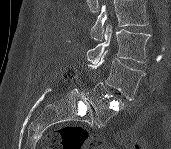 CT; sagittal view
In the table, x1 and y1 are a box's top-left corner and x2 and y2 its bottom-right corner, in pixels.
No box is given to a vertebra that the top edge of the scan cuts off.
| vertebra | x1 | y1 | x2 | y2 |
|---|---|---|---|---|
| L3 | 87 | 25 | 150 | 64 |
| L4 | 88 | 50 | 144 | 100 |
| L5 | 82 | 82 | 124 | 128 |